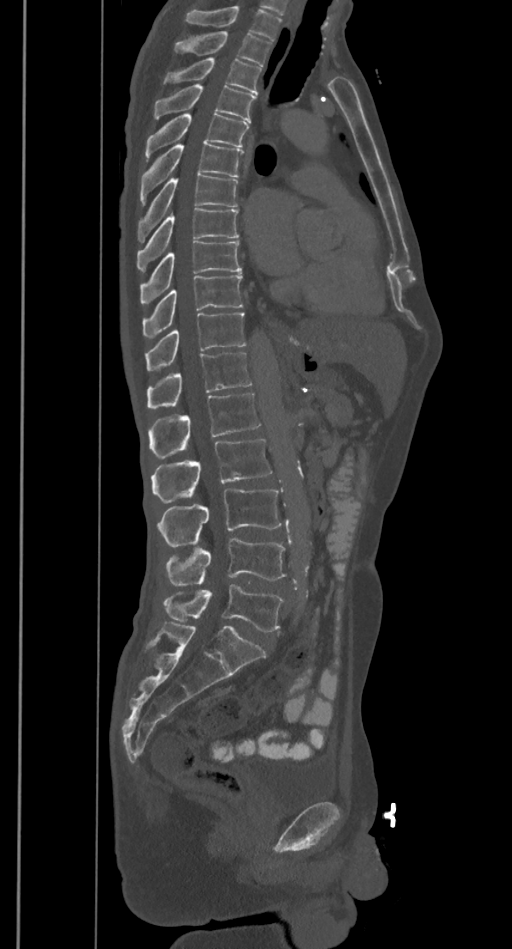

Spine CT — sagittal view — bone window — 512x949 px
Each box given as x1,y1,x2,y2.
No box is given to a vertebra that the top edge of the scan cuts off.
Vertebra bounding boxes:
- L5: x1=163, y1=585, x2=283, y2=632
- L4: x1=166, y1=539, x2=286, y2=585
- L3: x1=157, y1=490, x2=282, y2=546
- L2: x1=151, y1=438, x2=271, y2=503
- L1: x1=149, y1=394, x2=261, y2=459
- T12: x1=146, y1=352, x2=252, y2=408
- T11: x1=145, y1=312, x2=246, y2=371
- T10: x1=142, y1=275, x2=242, y2=338
- T9: x1=139, y1=241, x2=241, y2=303
- T8: x1=137, y1=208, x2=238, y2=269
- T7: x1=137, y1=174, x2=238, y2=241
- T6: x1=139, y1=142, x2=244, y2=204
- T5: x1=145, y1=114, x2=249, y2=161
- T4: x1=154, y1=85, x2=255, y2=121
- T3: x1=163, y1=59, x2=261, y2=95
- T2: x1=174, y1=31, x2=271, y2=66